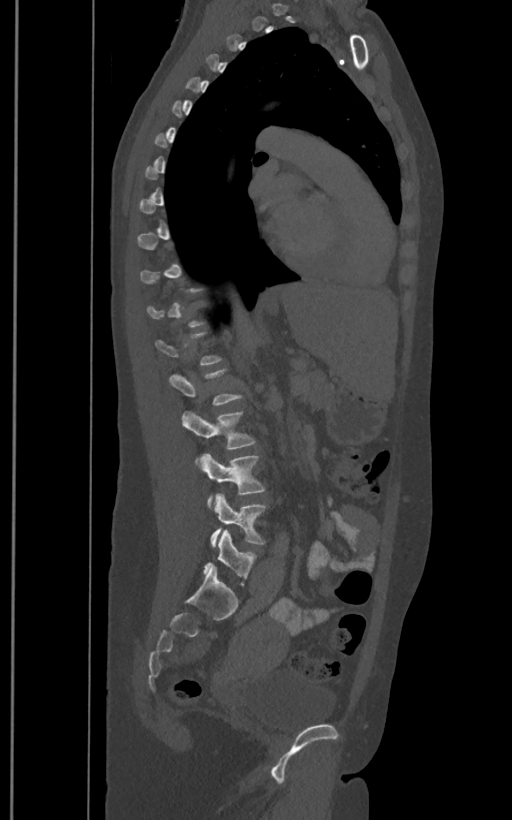 CT. sagittal reformat. bone window. 512x820 px. 400 mm wide
Boxes: x1:y1:x2:y2 in pixels. A vertebra gets a box only on the slices from the first to the last where its cross-section is at least a third of its largest; on a slice outside that range it gets none. The labels name a sixth lumbar vertebra for this spine: L6, after L5. Vertebrae labeled: L6 at 203:530:256:587, L5 at 211:494:266:546, L4 at 200:453:265:508, L3 at 182:411:256:459, L2 at 169:369:242:405.